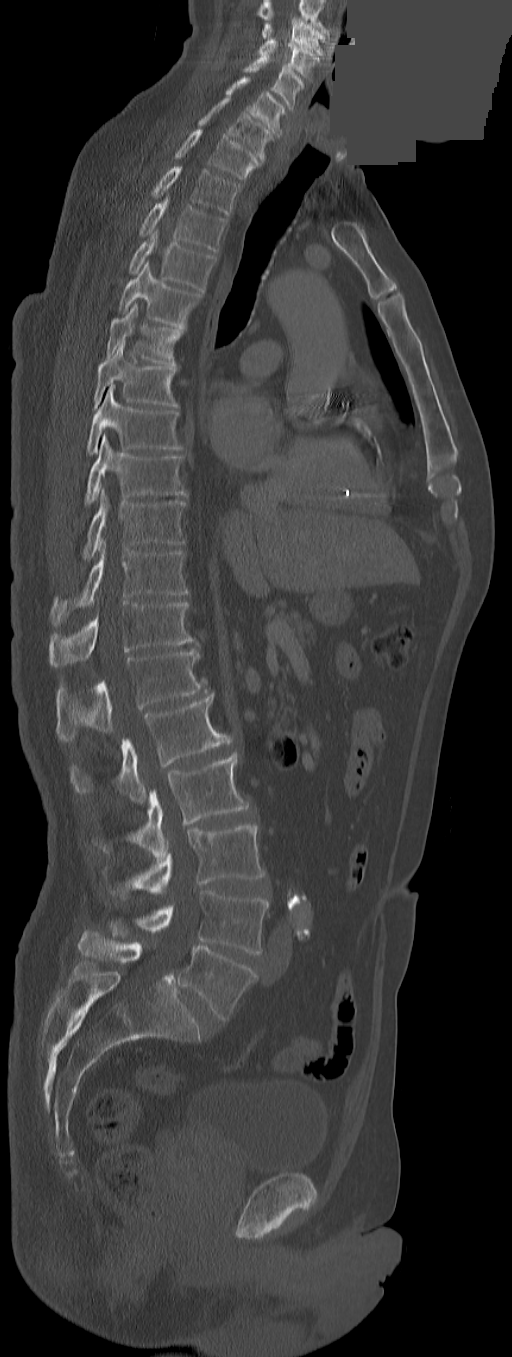 Computed tomography of the spine · sagittal view · bone window · 291 mm across the image · 512x1357 px · a portion of the image is blanked out (constant pixel value)
Each box given as x1,y1,x2,y2.
In this scan, the topmost labeled vertebra is C3 and the lowest is L5.
The labels name an extra thoracic vertebra here, T13, which comes after T12 and before L1.
| vertebra | x1 | y1 | x2 | y2 |
|---|---|---|---|---|
| C3 | 262 | 19 | 324 | 55 |
| C4 | 259 | 39 | 319 | 80 |
| C5 | 244 | 56 | 304 | 109 |
| C6 | 226 | 76 | 284 | 137 |
| C7 | 197 | 97 | 274 | 160 |
| T1 | 175 | 129 | 260 | 179 |
| T2 | 152 | 166 | 240 | 214 |
| T3 | 139 | 198 | 226 | 251 |
| T4 | 129 | 228 | 216 | 292 |
| T5 | 118 | 261 | 202 | 329 |
| T6 | 106 | 303 | 184 | 369 |
| T7 | 94 | 341 | 177 | 408 |
| T8 | 87 | 384 | 182 | 455 |
| T9 | 85 | 433 | 186 | 506 |
| T10 | 81 | 490 | 186 | 559 |
| T11 | 50 | 542 | 188 | 626 |
| T12 | 50 | 602 | 195 | 666 |
| T13 | 57 | 650 | 205 | 740 |
| L1 | 71 | 692 | 228 | 802 |
| L2 | 99 | 752 | 249 | 860 |
| L3 | 111 | 824 | 265 | 897 |
| L4 | 109 | 891 | 269 | 953 |
| L5 | 177 | 946 | 256 | 1020 |